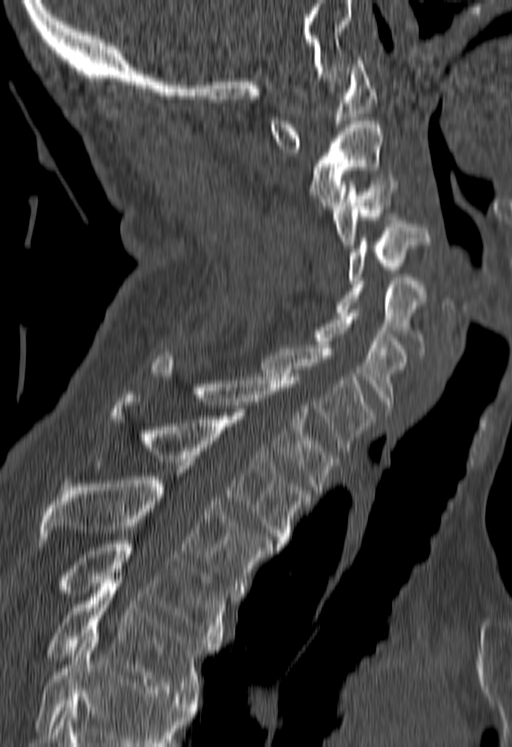
Computed tomography of the spine; sagittal view
No box is given to a vertebra that the bottom edge of the scan cuts off.
<vertebrae><v name="C1" x1="270" y1="57" x2="377" y2="152"/><v name="C2" x1="311" y1="121" x2="381" y2="212"/><v name="C3" x1="334" y1="178" x2="395" y2="248"/><v name="C4" x1="348" y1="220" x2="430" y2="283"/><v name="C5" x1="337" y1="277" x2="425" y2="351"/><v name="C6" x1="314" y1="309" x2="408" y2="411"/><v name="C7" x1="263" y1="345" x2="373" y2="454"/><v name="T1" x1="150" y1="356" x2="336" y2="493"/><v name="T2" x1="112" y1="395" x2="310" y2="547"/><v name="T3" x1="39" y1="476" x2="273" y2="596"/><v name="T4" x1="58" y1="540" x2="230" y2="646"/><v name="T5" x1="46" y1="580" x2="213" y2="699"/></vertebrae>